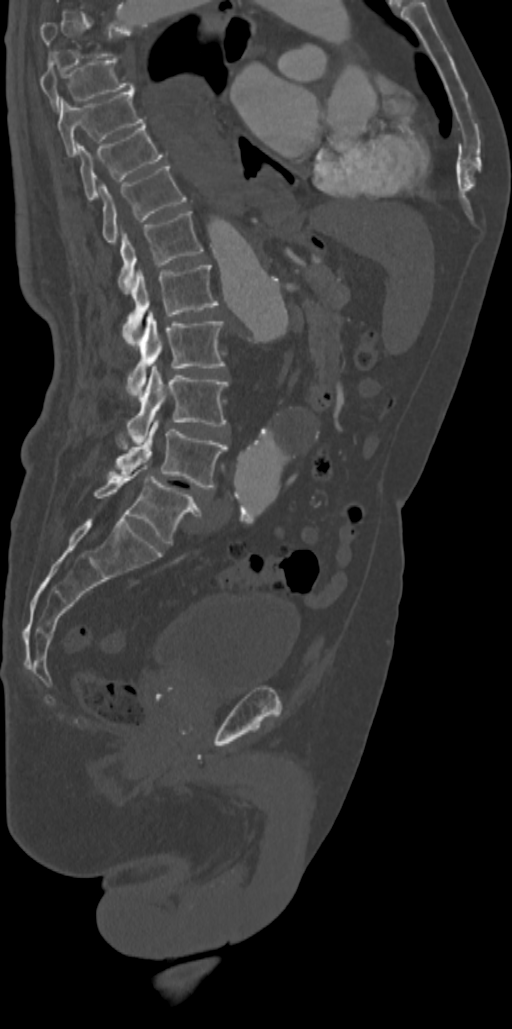 Spine computed tomography. sagittal view. 512x1029 px. image 342 mm wide

Box edges are left/top/right/bottom in pixels. A vertebra gets a box only on the slices from the first to the last where its cross-section is at least a third of its largest; on a slice outside that range it gets none. Vertebrae labeled: T8 at left=40, top=58, right=136, bottom=109, T9 at left=57, top=90, right=143, bottom=156, T10 at left=75, top=124, right=165, bottom=201, T11 at left=99, top=166, right=186, bottom=244, T12 at left=118, top=211, right=202, bottom=293, L1 at left=123, top=265, right=217, bottom=345, L2 at left=127, top=310, right=225, bottom=397, L3 at left=126, top=364, right=228, bottom=444, L4 at left=109, top=420, right=226, bottom=489, L5 at left=94, top=465, right=201, bottom=543.